CT spine — the image spans 140 mm across — sagittal view — bone window — scan covers 10 annotated vertebrae — a portion of the image is blanked out (constant pixel value)
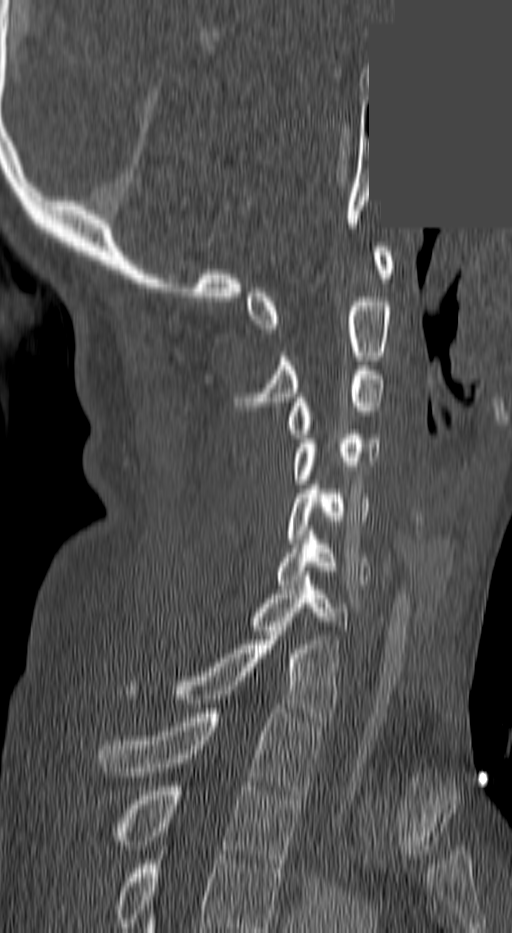

Coordinates as <box>x1,y1,x2,y2</box>.
In this scan, the topmost labeled vertebra is C1 and the lowest is T3.
Vertebra bounding boxes:
- C1: <box>246,247,395,333</box>
- C2: <box>235,293,392,406</box>
- C3: <box>285,366,384,438</box>
- C4: <box>290,430,377,484</box>
- C5: <box>289,485,370,538</box>
- C6: <box>276,535,371,584</box>
- C7: <box>246,576,348,630</box>
- T1: <box>126,631,339,721</box>
- T2: <box>100,709,320,794</box>
- T3: <box>104,786,300,868</box>